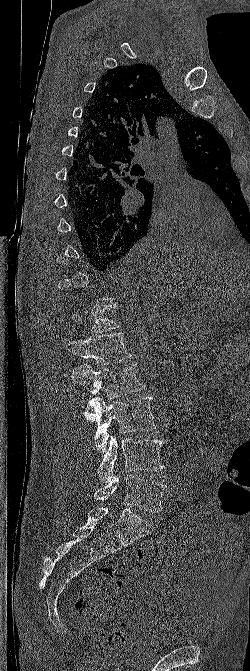 Spine computed tomography; sagittal view; bone-window reconstruction
Not every vertebra on this slice has a box: a vertebra is boxed only from the first to the last slice where its cross-section is at least a third of its largest, and this slice is outside that range for at least one of them.
<vertebrae><v name="T12" x1="68" y1="304" x2="120" y2="332"/><v name="L1" x1="64" y1="332" x2="132" y2="366"/><v name="L2" x1="71" y1="364" x2="145" y2="399"/><v name="L3" x1="84" y1="395" x2="156" y2="452"/><v name="L4" x1="97" y1="435" x2="164" y2="482"/><v name="L5" x1="94" y1="474" x2="166" y2="512"/></vertebrae>